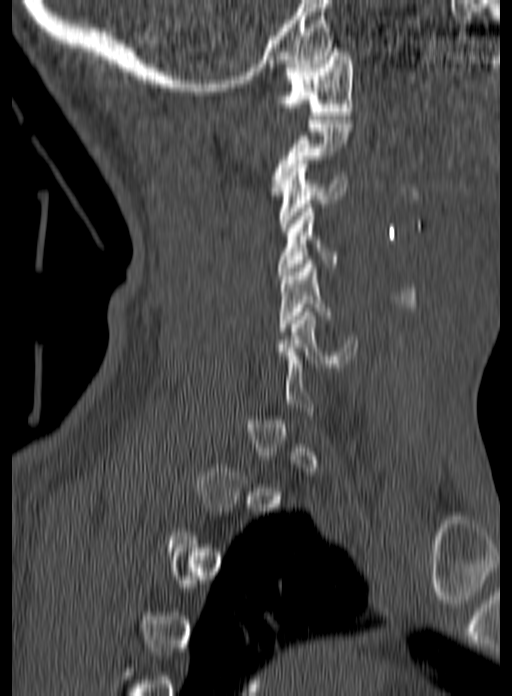
CT spine · sagittal view · bone-window reconstruction

Boxes below are [x1, y1, x2, y2] in pixels.
Each vertebra is boxed only on the slices from the first to the last where its cross-section reaches a third of its largest, so a slice outside that range leaves it unboxed.
{"vertebrae":{"C1":[272,48,352,119],"C3":[279,160,346,231],"C4":[277,208,339,275],"C5":[278,260,332,331],"C6":[273,308,357,367]}}